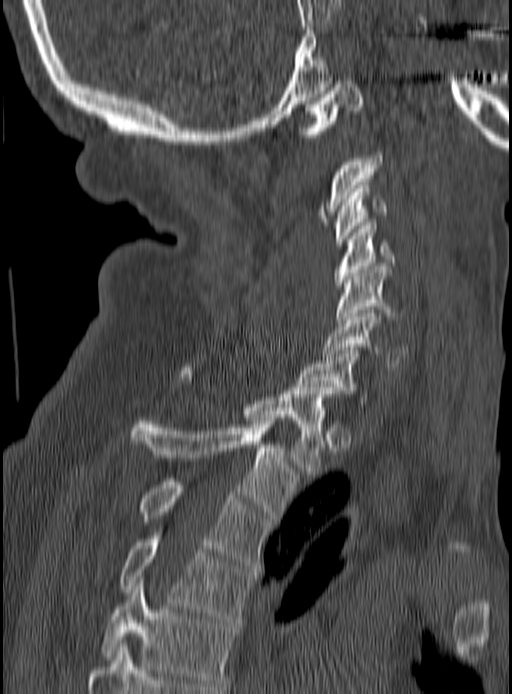 CT — sagittal view
<vertebrae><v name="T5" x1="103" y1="579" x2="234" y2="686"/><v name="T4" x1="119" y1="532" x2="253" y2="622"/><v name="T3" x1="141" y1="478" x2="269" y2="565"/><v name="T2" x1="130" y1="418" x2="299" y2="521"/><v name="T1" x1="180" y1="367" x2="331" y2="474"/><v name="C7" x1="297" y1="350" x2="368" y2="403"/><v name="C6" x1="321" y1="310" x2="407" y2="370"/><v name="C5" x1="336" y1="266" x2="396" y2="322"/><v name="C4" x1="335" y1="222" x2="396" y2="289"/><v name="C3" x1="335" y1="185" x2="386" y2="245"/><v name="C2" x1="319" y1="155" x2="383" y2="225"/><v name="C1" x1="297" y1="81" x2="364" y2="137"/></vertebrae>